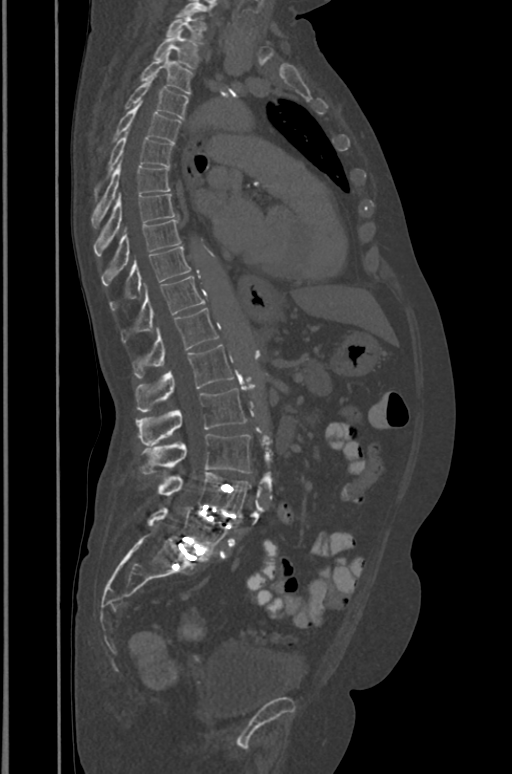

Spine computed tomography · sagittal view · 512x774 px
Box values are [left, top, right, bottom] in pixels.
{"vertebrae":{"T1":[166,12,203,43],"T2":[154,30,197,68],"T3":[141,51,192,92],"T4":[126,75,188,119],"T5":[114,102,180,142],"T6":[96,130,172,195],"T7":[92,160,169,228],"T8":[94,193,177,257],"T9":[102,219,180,285],"T10":[110,247,190,310],"T11":[122,276,205,342],"T12":[134,308,218,379],"L1":[136,344,233,412],"L2":[136,389,245,446],"L3":[141,434,250,473],"L4":[158,472,250,513],"L5":[148,507,227,554]}}